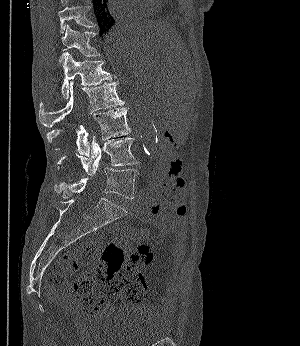
Spine CT. sagittal view. image 300 mm wide. bone-window reconstruction. 300x346 px
Columns x1, y1, x2, y2 give each box's top-left and bottom-right pixels.
| vertebra | x1 | y1 | x2 | y2 |
|---|---|---|---|---|
| L5 | 54 | 167 | 139 | 199 |
| L4 | 56 | 136 | 139 | 175 |
| L3 | 46 | 107 | 130 | 156 |
| L2 | 39 | 81 | 124 | 126 |
| L1 | 59 | 52 | 114 | 98 |
| T12 | 61 | 24 | 99 | 56 |
| T11 | 58 | 0 | 94 | 33 |